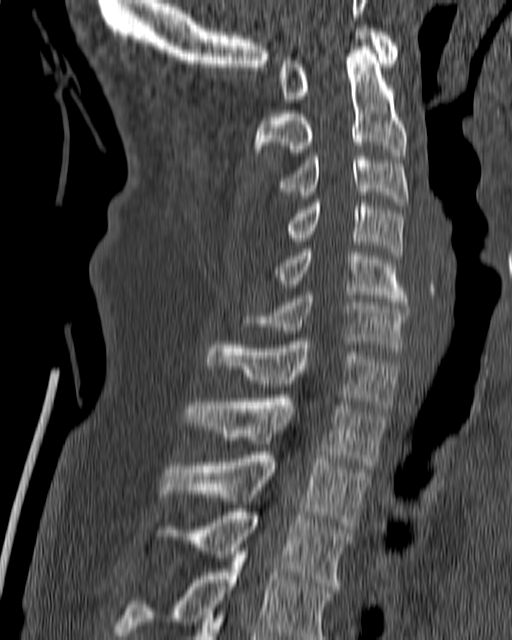

CT, spine. the image is 180 mm wide. sagittal view

Boxes: x1:y1:x2:y2 in pixels.
C1: 279:25:398:102
C2: 254:46:407:155
C3: 277:153:409:205
C4: 285:199:404:259
C5: 274:249:408:305
C6: 240:292:408:347
C7: 206:341:401:411
T1: 183:395:387:465
T2: 160:452:370:529
T3: 156:508:353:589
T4: 113:548:333:639